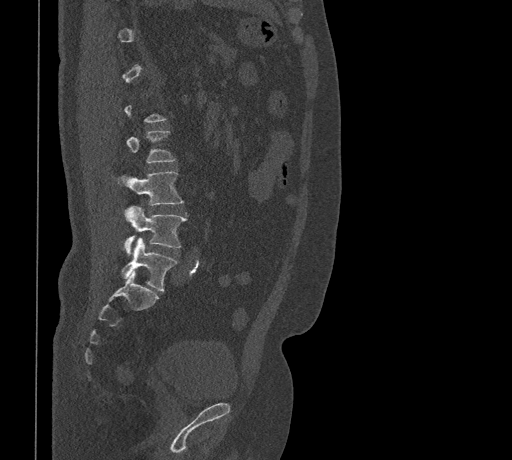
CT, spine — sagittal view — W/L 1800/400 HU — image 461 mm wide

Boxes below are [x1, y1, x2, y2] in pixels.
Not every vertebra on this slice has a box: a vertebra is boxed only from the first to the last slice where its cross-section is at least a third of its largest, and this slice is outside that range for at least one of them.
{"vertebrae":{"L2":[127,130,174,162],"L3":[118,171,183,205],"L4":[123,206,186,255],"L5":[121,238,176,291]}}